Spine CT — sagittal reformat — Bone window (WL 400, WW 1800) — 512x640 px — 180 mm across the image — 11 vertebrae labeled in this scan
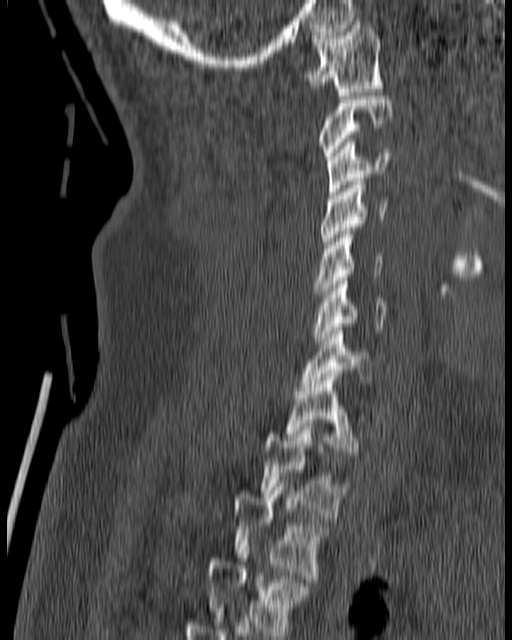 Boxes: x1:y1:x2:y2 in pixels.
Vertebra bounding boxes:
- T4: 205:548:310:635
- T3: 234:480:333:582
- T2: 260:423:350:518
- T1: 283:377:358:458
- C7: 300:331:373:390
- C6: 311:277:387:344
- C5: 314:231:384:294
- C4: 322:178:387:248
- C3: 327:139:391:195
- C2: 317:92:392:159
- C1: 305:21:384:95